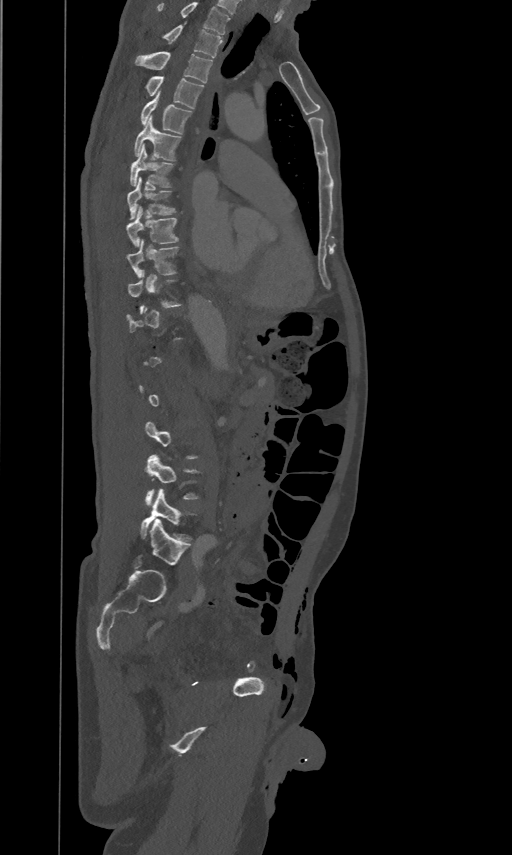

CT, spine — sagittal view — 512x855 px

Boxes below are [x1, y1, x2, y2] in pixels.
Each vertebra is boxed only on the slices from the first to the last where its cross-section reaches a third of its largest, so a slice outside that range leaves it unboxed.
The highest labeled vertebra in this scan is T2; the lowest is L5.
{"vertebrae":{"T2":[164,23,222,58],"T3":[134,51,212,82],"T4":[145,76,203,109],"T5":[141,91,192,134],"T6":[134,115,181,159],"T7":[130,144,174,185],"T8":[128,177,176,219],"T9":[127,205,179,245],"T10":[128,237,179,276],"L4":[145,454,200,506],"L5":[141,488,197,541]}}